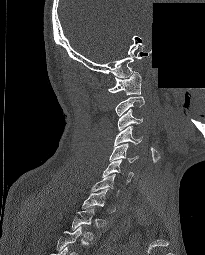
Spine computed tomography. sagittal view. bone window. 205x255 px. part of the image has been replaced by a constant value
Box values are [left, top, right, bottom] in pixels.
Not every vertebra on this slice has a box: a vertebra is boxed only from the first to the last slice where its cross-section is at least a third of its largest, and this slice is outside that range for at least one of them.
The highest labeled vertebra in this scan is C1; the lowest is T2.
{"vertebrae":{"C1":[108,72,141,95],"C3":[117,108,143,130],"C4":[114,126,142,146],"C5":[109,143,138,162],"C6":[102,159,133,184],"C7":[91,174,119,195],"T2":[72,207,94,240]}}